Spine CT; sagittal plane, index 240; 607x607 px; scan covers 10 annotated vertebrae
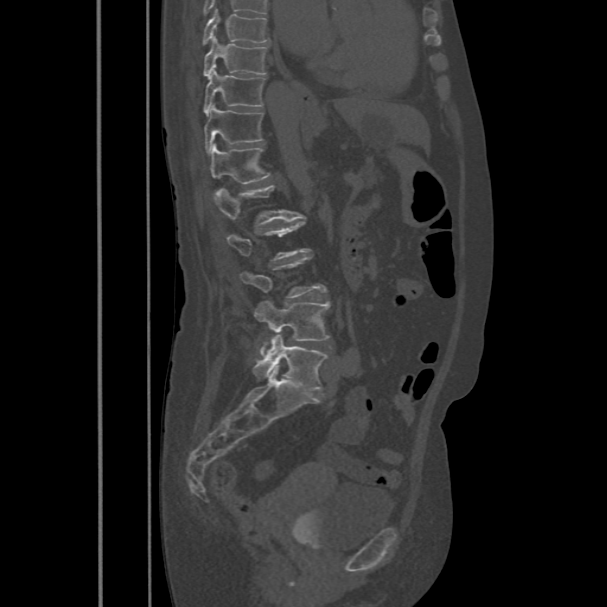

In the table, x1 and y1 are a box's top-left corner and x2 and y2 its bottom-right corner, in pixels.
A vertebra is boxed only from the first to the last slice where its cross-section is at least a third of its largest; slices outside that range leave it without a box.
| vertebra | x1 | y1 | x2 | y2 |
|---|---|---|---|---|
| T8 | 202 | 10 | 269 | 45 |
| T9 | 203 | 37 | 268 | 77 |
| T10 | 203 | 67 | 265 | 114 |
| T11 | 204 | 105 | 264 | 154 |
| T12 | 210 | 143 | 271 | 184 |
| L1 | 212 | 185 | 296 | 226 |
| L4 | 254 | 301 | 329 | 355 |
| L5 | 253 | 335 | 328 | 390 |